CT, spine — Sagittal slice 281/512
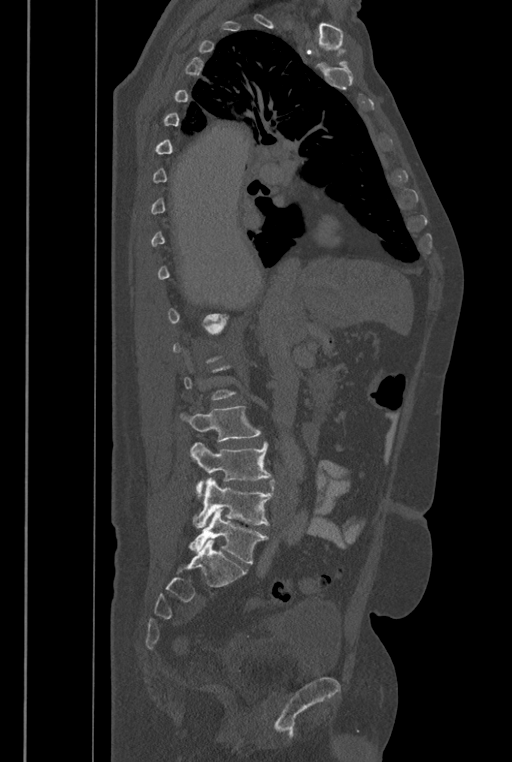

Box values are [left, top, right, bottom] in pixels.
Each vertebra is boxed only on the slices from the first to the last where its cross-section reaches a third of its largest, so a slice outside that range leaves it unboxed.
These labels give the spine a sixth lumbar vertebra, L6, below L5.
{"vertebrae":{"L3":[181,405,261,441],"L4":[189,442,271,497],"L5":[193,477,274,527],"L6":[188,508,268,563]}}